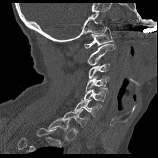 CT, spine; sagittal view; 158 mm wide; bone window; 158x158 px

Box values are [left, top, right, bottom] in pixels.
Each vertebra is boxed only on the slices from the first to the last where its cross-section reaches a third of its largest, so a slice outside that range leaves it unboxed.
{"vertebrae":{"C1":[84,27,113,48],"C2":[87,44,115,65],"C3":[88,63,110,78],"C4":[86,76,109,91],"C5":[84,88,107,101],"C6":[74,99,101,118],"C7":[62,109,89,127]}}